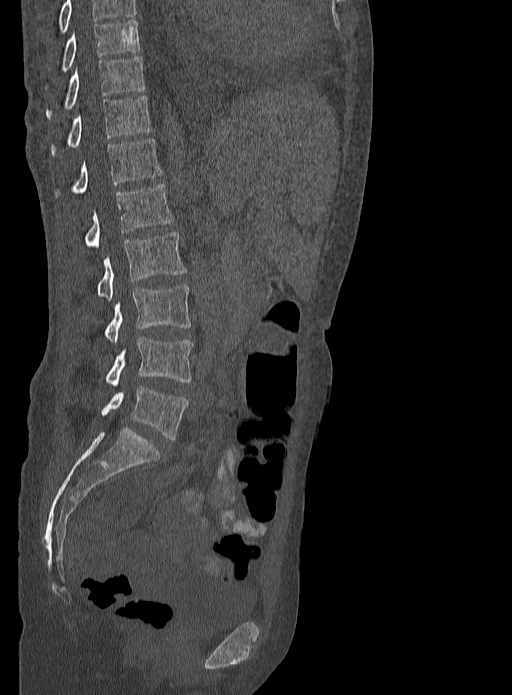

Computed tomography of the spine; sagittal view; 333 mm image width; 512x695 px. Columns x1, y1, x2, y2 give each box's top-left and bottom-right pixels.
In this scan, the topmost labeled vertebra is T9 and the lowest is L5.
| vertebra | x1 | y1 | x2 | y2 |
|---|---|---|---|---|
| L5 | 101 | 386 | 188 | 439 |
| L4 | 106 | 337 | 192 | 386 |
| L3 | 104 | 284 | 191 | 342 |
| L2 | 97 | 232 | 185 | 300 |
| L1 | 86 | 185 | 174 | 248 |
| T12 | 72 | 138 | 162 | 193 |
| T11 | 50 | 95 | 151 | 154 |
| T10 | 46 | 57 | 143 | 119 |
| T9 | 61 | 20 | 140 | 71 |